Computed tomography of the spine · the image is 350 mm wide · sagittal plane, index 217 · Bone window (WL 400, WW 1800) · 23 vertebrae labeled in this scan · some of the image was removed or blocked out with constant pixels
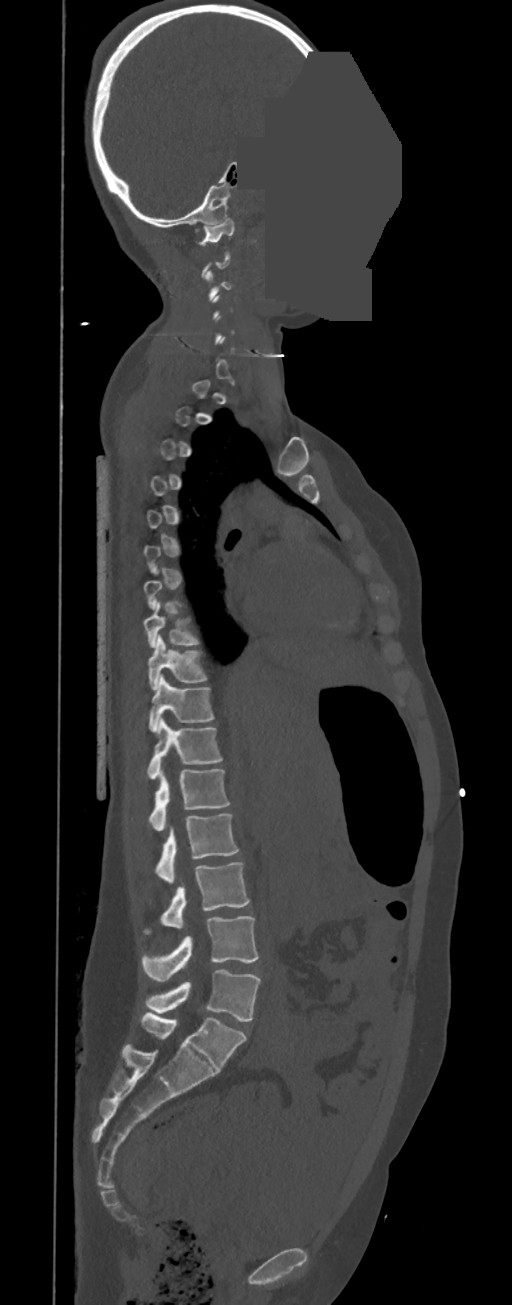
Each box given as x1,y1,x2,y2.
Not every vertebra on this slice has a box: a vertebra is boxed only from the first to the last slice where its cross-section is at least a third of its largest, and this slice is outside that range for at least one of them.
In these labels the spine has no T12: the thoracic vertebrae end at T11, and L1 comes next.
L5: x1=145, y1=970, x2=261, y2=1022
L4: x1=142, y1=916, x2=258, y2=981
L3: x1=145, y1=862, x2=249, y2=934
L2: x1=155, y1=814, x2=239, y2=882
L1: x1=149, y1=769, x2=230, y2=831
T11: x1=147, y1=718, x2=223, y2=778
T10: x1=149, y1=674, x2=214, y2=732
T9: x1=148, y1=635, x2=206, y2=690
T8: x1=143, y1=602, x2=201, y2=647
C1: x1=197, y1=217, x2=234, y2=245